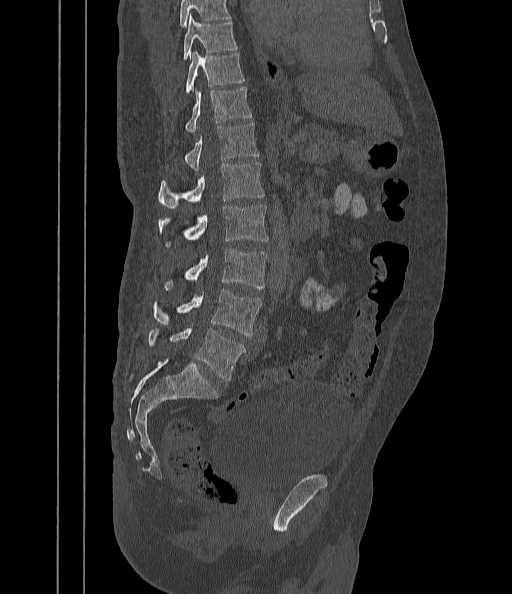

Computed tomography of the spine. sagittal view. 442 mm image width. Boxes: x1:y1:x2:y2 in pixels.
Where the top of the scan cuts through a vertebra, that vertebra gets no label or box.
T9: 183:16:236:60
T10: 186:50:244:93
T11: 185:87:251:133
T12: 185:123:258:171
L1: 159:162:264:208
L2: 159:205:268:246
L3: 164:248:267:289
L4: 154:290:261:336
L5: 148:328:246:380